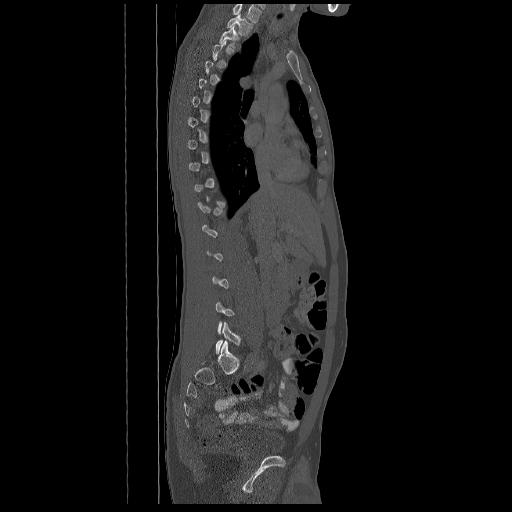
CT, spine · sagittal view · 512x512 px

A vertebra gets a box only on the slices from the first to the last where its cross-section is at least a third of its largest; on a slice outside that range it gets none.
The highest labeled vertebra in this scan is T2; the lowest is L5.
<vertebrae><v name="L5" x1="216" y1="322" x2="240" y2="354"/><v name="T3" x1="219" y1="26" x2="239" y2="47"/><v name="T2" x1="227" y1="15" x2="253" y2="35"/></vertebrae>